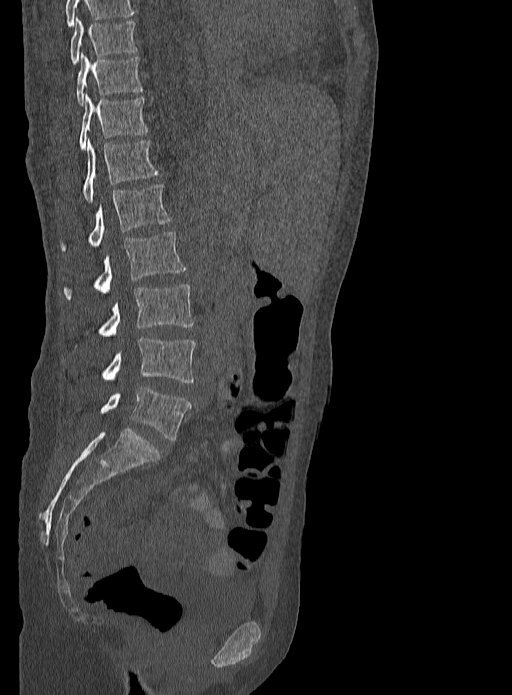

CT spine. sagittal view. bone window. Bounding boxes as [x1, y1, x2, y2] in pixel coordinates.
This scan's labels start at T9 at the top and end at L5 at the bottom.
Vertebra bounding boxes:
- T9: [70, 17, 137, 64]
- T10: [75, 54, 143, 105]
- T11: [78, 94, 148, 150]
- T12: [83, 138, 159, 203]
- L1: [60, 185, 171, 251]
- L2: [63, 232, 185, 299]
- L3: [98, 284, 194, 336]
- L4: [101, 337, 196, 382]
- L5: [100, 386, 191, 440]